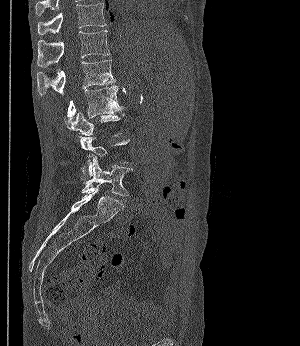

Spine computed tomography; sagittal view; Bone window (WL 400, WW 1800); image 300 mm wide
A vertebra gets a box only on the slices from the first to the last where its cross-section is at least a third of its largest; on a slice outside that range it gets none.
<vertebrae><v name="L5" x1="81" y1="154" x2="134" y2="195"/><v name="L2" x1="66" y1="85" x2="123" y2="127"/><v name="L1" x1="37" y1="59" x2="114" y2="95"/><v name="T12" x1="37" y1="30" x2="110" y2="67"/><v name="T11" x1="37" y1="3" x2="106" y2="34"/></vertebrae>